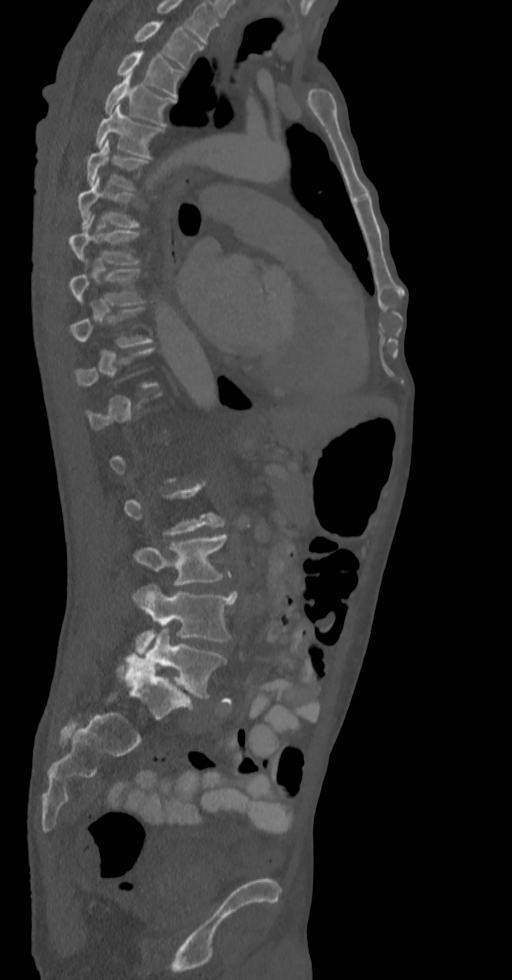 Spine computed tomography · sagittal view · bone window · 512x980 px. Boxes: x1:y1:x2:y2 in pixels.
A vertebra is boxed only from the first to the last slice where its cross-section is at least a third of its largest; slices outside that range leave it without a box.
In this scan, the topmost labeled vertebra is T2 and the lowest is L5.
Vertebra bounding boxes:
- T2: 134:21:201:69
- T3: 117:49:182:98
- T4: 103:75:175:125
- T5: 96:105:163:157
- T6: 87:140:147:188
- T7: 77:175:139:226
- T8: 68:216:139:264
- T9: 70:268:142:305
- L3: 134:533:230:586
- L4: 132:585:236:654
- L5: 124:628:226:697